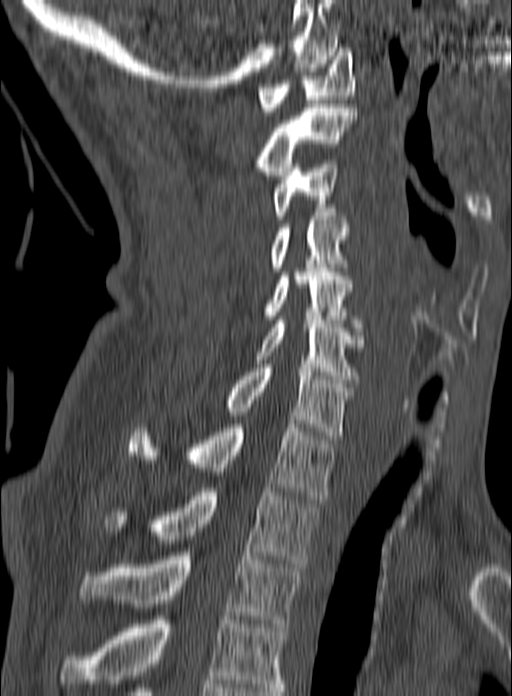

CT spine. sagittal view. W/L 1800/400 HU
Coordinates as <box>x1,y1,x2,y2</box>.
The highest labeled vertebra in this scan is C1; the lowest is T3.
T3: <box>79,552,301,627</box>
T2: <box>104,488,317,567</box>
T1: <box>129,420,336,499</box>
C7: <box>222,364,352,439</box>
C6: <box>254,320,365,383</box>
C5: <box>264,268,362,331</box>
C4: <box>270,212,349,271</box>
C3: <box>273,160,338,219</box>
C2: <box>254,104,357,175</box>
C1: <box>257,48,355,111</box>